Computed tomography of the spine; 369 mm wide; sagittal view; 369x669 px
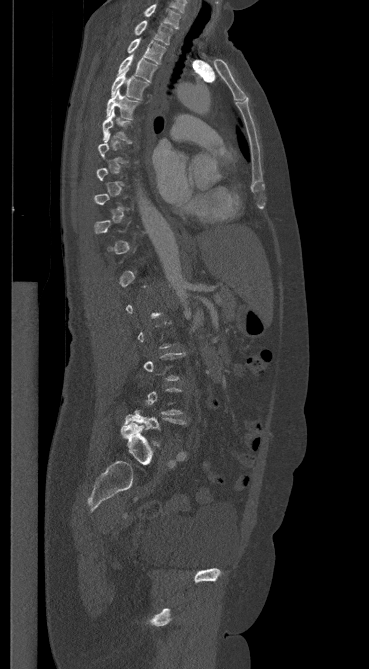

Coordinates as <box>x1,y1,x2,y2</box>.
A vertebra gets a box only on the slices from the first to the last where its cross-section is at least a third of its largest; on a slice outside that range it gets none.
Vertebra bounding boxes:
- C7: <box>144,4,180,28</box>
- T1: <box>134,20,172,44</box>
- T2: <box>127,39,165,64</box>
- T3: <box>118,54,157,81</box>
- T4: <box>111,69,148,99</box>
- T5: <box>106,89,139,119</box>
- T6: <box>102,110,129,140</box>